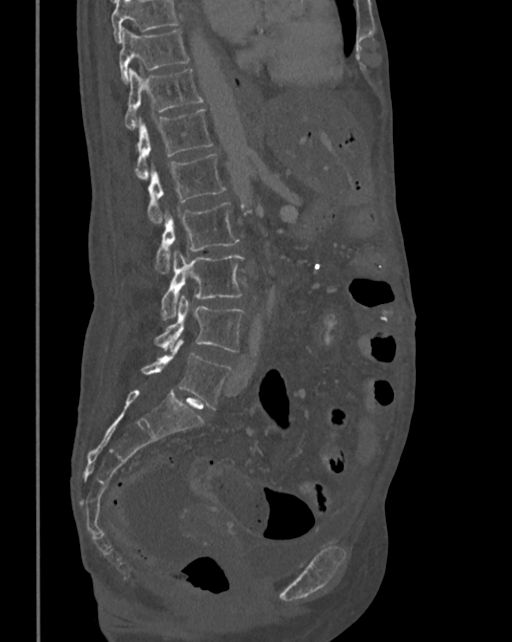

Computed tomography of the spine — sagittal reformat — 342 mm image width

Columns x1, y1, x2, y2 give each box's top-left and bottom-right pixels.
No box is given to a vertebra that the top edge of the scan cuts off.
| vertebra | x1 | y1 | x2 | y2 |
|---|---|---|---|---|
| T10 | 120 | 29 | 189 | 83 |
| T11 | 124 | 69 | 202 | 128 |
| T12 | 134 | 108 | 213 | 179 |
| L1 | 148 | 153 | 225 | 224 |
| L2 | 155 | 202 | 238 | 274 |
| L3 | 161 | 250 | 243 | 320 |
| L4 | 155 | 296 | 244 | 351 |
| L5 | 142 | 338 | 231 | 410 |